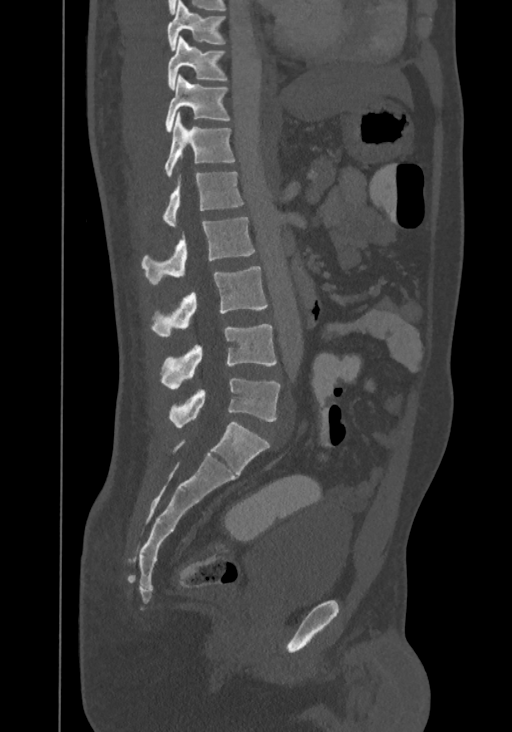 CT · sagittal view · bone window · 367 mm across the image · 512x732 px

Box edges are left/top/right/bottom in pixels.
In this scan, the topmost labeled vertebra is T8 and the lowest is L4.
| vertebra | x1 | y1 | x2 | y2 |
|---|---|---|---|---|
| L4 | 169 | 378 | 281 | 427 |
| L3 | 160 | 324 | 276 | 388 |
| L2 | 150 | 266 | 267 | 337 |
| L1 | 142 | 217 | 254 | 285 |
| T12 | 162 | 171 | 243 | 226 |
| T11 | 164 | 113 | 235 | 176 |
| T10 | 164 | 75 | 230 | 132 |
| T9 | 167 | 36 | 228 | 89 |
| T8 | 167 | 0 | 225 | 50 |